Spine CT — sagittal reformat — W/L 1800/400 HU — 512x478 px
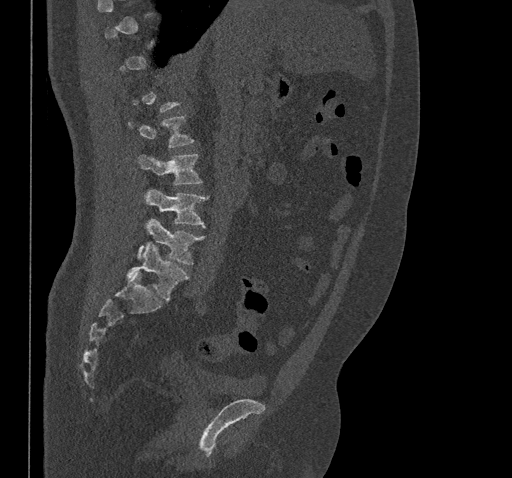
Each box given as x1,y1,x2,y2.
Not every vertebra on this slice has a box: a vertebra is boxed only from the first to the last slice where its cross-section is at least a third of its largest, and this slice is outside that range for at least one of them.
Vertebra bounding boxes:
- L5: x1=127, y1=242, x2=188, y2=300
- L4: x1=138, y1=219, x2=204, y2=264
- L3: x1=144, y1=189, x2=205, y2=227
- L2: x1=138, y1=154, x2=202, y2=185